Computed tomography of the spine — sagittal plane, index 88 — bone window — 152x195 px — scan covers 6 annotated vertebrae — the image is 152 mm wide
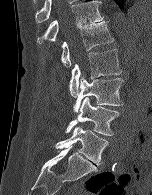 Box edges are left/top/right/bottom in pixels. Vertebrae labeled: L5 at left=55, top=126, right=108, bottom=165, L4 at left=65, top=97, right=119, bottom=135, L3 at left=73, top=76, right=123, bottom=113, L2 at left=69, top=49, right=121, bottom=97, L1 at left=61, top=21, right=113, bottom=67, T12 at left=37, top=0, right=104, bottom=43.